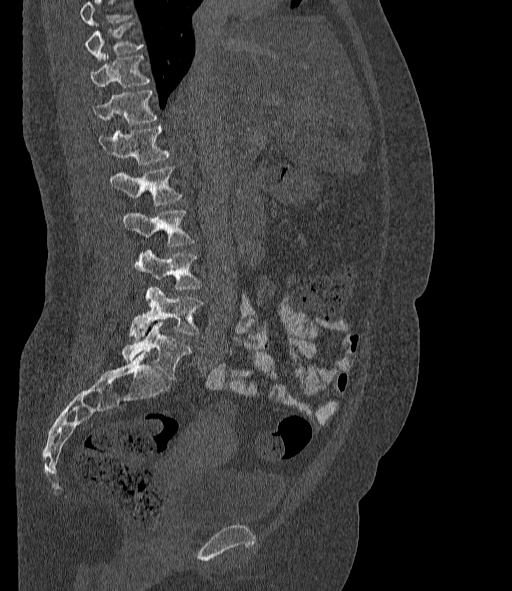
CT spine. the image spans 377 mm across. sagittal view. W/L 1800/400 HU
No box is given to a vertebra that the top edge of the scan cuts off.
The labels name a sixth lumbar vertebra for this spine: L6, after L5.
<vertebrae><v name="L6" x1="122" y1="321" x2="192" y2="379"/><v name="L5" x1="129" y1="287" x2="203" y2="339"/><v name="L4" x1="134" y1="249" x2="203" y2="290"/><v name="L3" x1="123" y1="209" x2="193" y2="246"/><v name="L2" x1="110" y1="166" x2="182" y2="205"/><v name="L1" x1="99" y1="125" x2="170" y2="165"/><v name="T12" x1="94" y1="90" x2="158" y2="125"/><v name="T11" x1="91" y1="54" x2="150" y2="87"/><v name="T10" x1="85" y1="23" x2="143" y2="60"/></vertebrae>